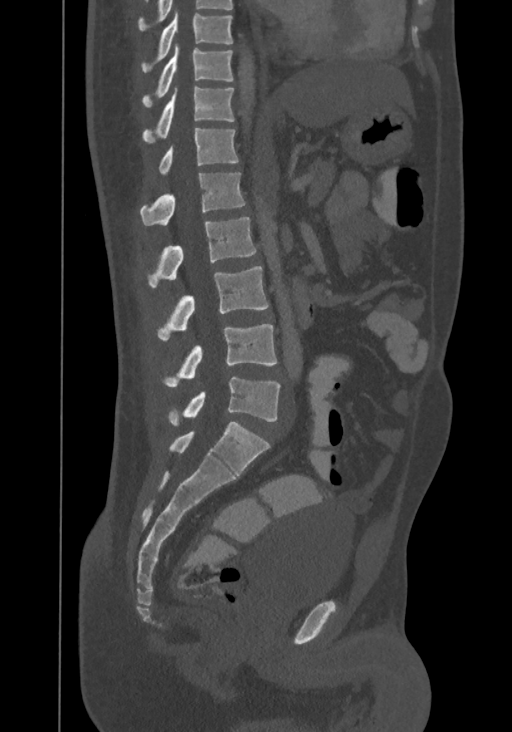
CT · sagittal view · Bone window (WL 400, WW 1800). Boxes are (x1, y1, x2, y2) in pixels.
The highest labeled vertebra in this scan is T8; the lowest is L4.
T8: (142, 11, 232, 73)
T9: (142, 44, 233, 106)
T10: (142, 87, 235, 142)
T11: (159, 128, 239, 175)
T12: (139, 173, 244, 225)
L1: (148, 217, 255, 288)
L2: (157, 266, 268, 339)
L3: (163, 324, 276, 387)
L4: (169, 377, 281, 426)